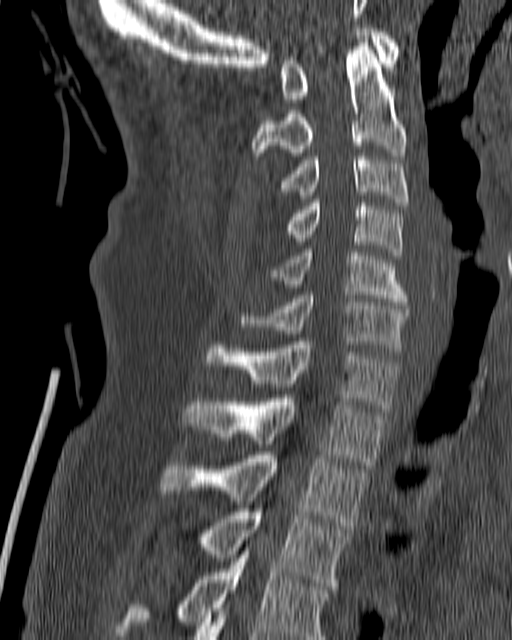 CT · sagittal view. Boxes are given in columns x1, y1, x2, y2, the pixel coordinates of their top-left and bottom-right corners.
| vertebra | x1 | y1 | x2 | y2 |
|---|---|---|---|---|
| T4 | 115 | 548 | 330 | 639 |
| T3 | 203 | 508 | 351 | 589 |
| T2 | 160 | 452 | 367 | 529 |
| T1 | 183 | 395 | 384 | 465 |
| C7 | 206 | 341 | 398 | 411 |
| C6 | 237 | 292 | 408 | 351 |
| C5 | 271 | 249 | 407 | 305 |
| C4 | 285 | 199 | 401 | 255 |
| C3 | 279 | 153 | 409 | 205 |
| C2 | 251 | 43 | 407 | 159 |
| C1 | 279 | 25 | 399 | 102 |